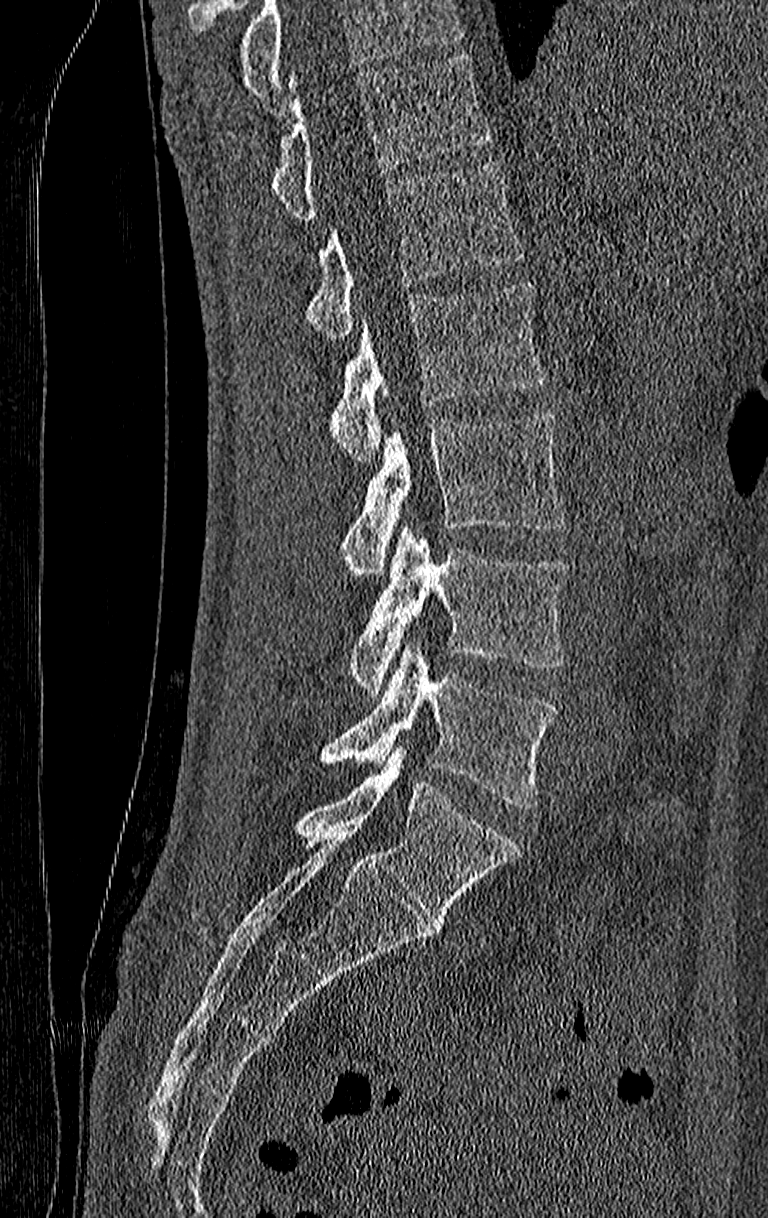

CT, spine; sagittal view; bone-window reconstruction
Coordinates as <box>x1,y1,x2,y2</box>.
Where the top of the scan cuts through a vertebra, that vertebra gets no label or box.
This scan's labels start at T11 at the top and end at L4 at the bottom.
T11: <box>269,56,491,220</box>
T12: <box>306,161,524,340</box>
L1: <box>328,283,546,461</box>
L2: <box>339,415,565,578</box>
L3: <box>346,528,568,695</box>
L4: <box>320,640,557,809</box>